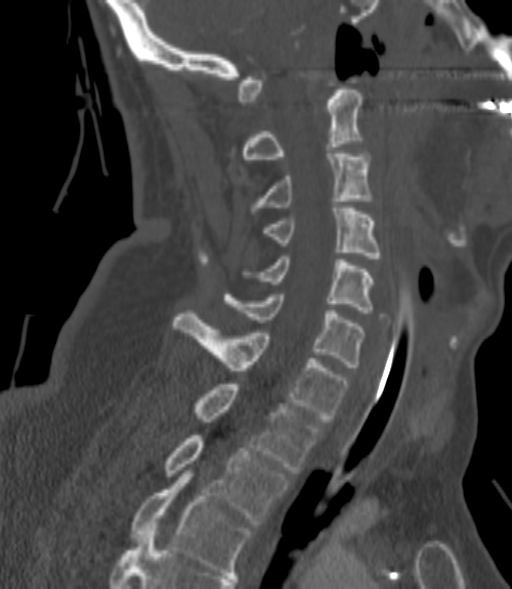

CT, spine · sagittal view · bone window · 512x589 px
A vertebra is boxed only from the first to the last slice where its cross-section is at least a third of its largest; slices outside that range leave it without a box.
<vertebrae><v name="C2" x1="244" y1="90" x2="363" y2="159"/><v name="C3" x1="252" y1="150" x2="371" y2="210"/><v name="C4" x1="262" y1="208" x2="381" y2="261"/><v name="C5" x1="243" y1="256" x2="374" y2="313"/><v name="C6" x1="224" y1="294" x2="363" y2="367"/><v name="C7" x1="172" y1="310" x2="348" y2="421"/><v name="T1" x1="193" y1="384" x2="320" y2="473"/><v name="T2" x1="165" y1="435" x2="289" y2="524"/><v name="T3" x1="131" y1="474" x2="251" y2="575"/></vertebrae>